Computed tomography of the spine. sagittal reformat
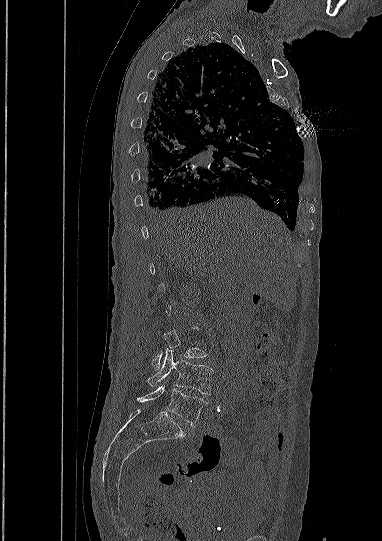

Bounding boxes as [x1, y1, x2, y2] in pixel coordinates. 3 vertebrae labeled — L3 at [153, 331, 206, 369]; L4 at [148, 349, 213, 394]; L5 at [137, 383, 205, 426].